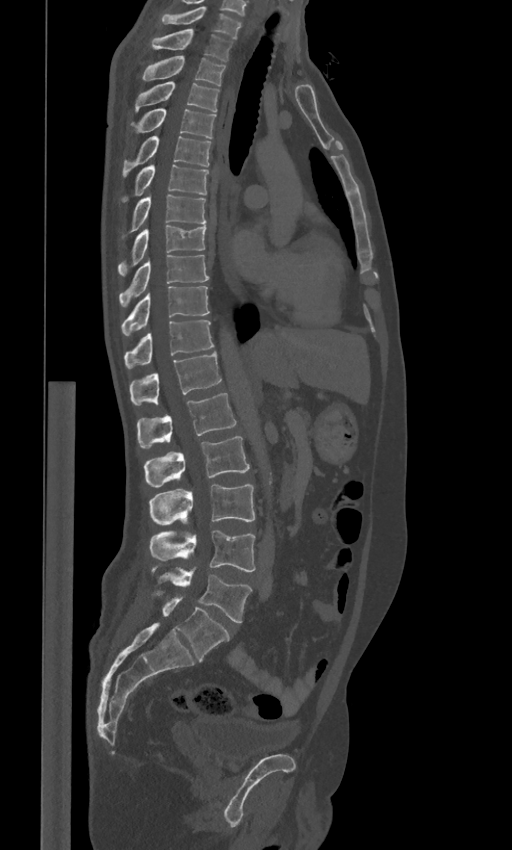
Spine computed tomography. sagittal view. 512x850 px
Each box given as x1,y1,x2,y2.
In these labels the spine has an L6, a sixth lumbar vertebra below L5.
Vertebra bounding boxes:
- C7: x1=158, y1=6, x2=242, y2=39
- T1: x1=151, y1=28, x2=232, y2=60
- T2: x1=142, y1=56, x2=225, y2=85
- T3: x1=134, y1=81, x2=220, y2=111
- T4: x1=131, y1=108, x2=215, y2=138
- T5: x1=122, y1=135, x2=210, y2=177
- T6: x1=120, y1=164, x2=208, y2=202
- T7: x1=121, y1=195, x2=206, y2=237
- T8: x1=118, y1=225, x2=206, y2=276
- T9: x1=119, y1=255, x2=208, y2=307
- T10: x1=121, y1=286, x2=209, y2=336
- T11: x1=124, y1=320, x2=214, y2=368
- T12: x1=129, y1=352, x2=221, y2=405
- L1: x1=136, y1=393, x2=236, y2=447
- L2: x1=143, y1=436, x2=249, y2=489
- L3: x1=149, y1=484, x2=254, y2=524
- L4: x1=149, y1=529, x2=255, y2=571
- L5: x1=152, y1=568, x2=251, y2=622
- L6: x1=157, y1=592, x2=229, y2=660